CT, spine; sagittal plane, index 286; 512x681 px; scan covers 8 annotated vertebrae
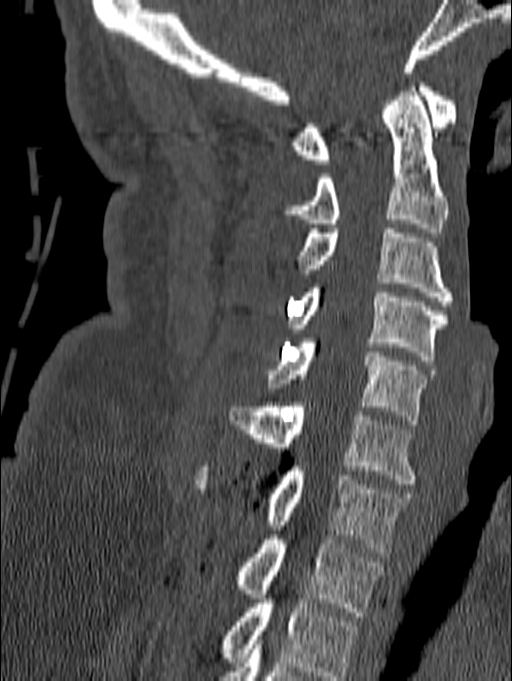

In this scan, the topmost labeled vertebra is C1 and the lowest is T1.
<vertebrae><v name="T1" x1="232" y1="526" x2="384" y2="616"/><v name="C7" x1="195" y1="466" x2="414" y2="557"/><v name="C6" x1="229" y1="402" x2="415" y2="484"/><v name="C5" x1="268" y1="338" x2="434" y2="424"/><v name="C4" x1="290" y1="283" x2="447" y2="360"/><v name="C3" x1="298" y1="229" x2="454" y2="305"/><v name="C2" x1="279" y1="82" x2="447" y2="232"/><v name="C1" x1="291" y1="78" x2="456" y2="164"/></vertebrae>